CT, spine — sagittal view — W/L 1800/400 HU
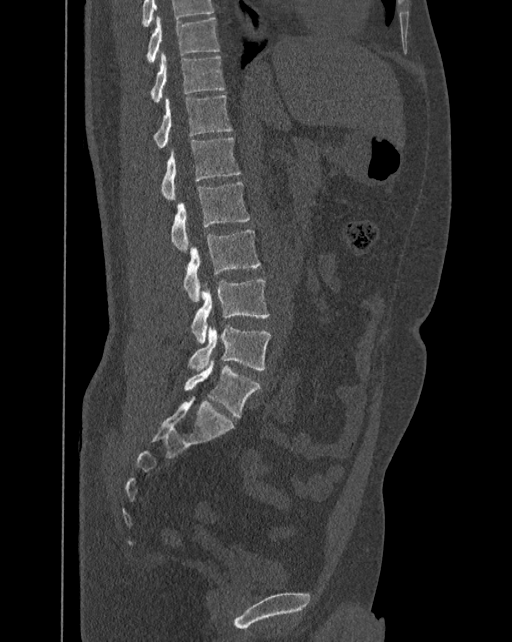 Columns x1, y1, x2, y2 give each box's top-left and bottom-right pixels.
The highest labeled vertebra in this scan is T10; the lowest is L6.
These labels give the spine a sixth lumbar vertebra, L6, below L5.
| vertebra | x1 | y1 | x2 | y2 |
|---|---|---|---|---|
| T10 | 145 | 16 | 220 | 64 |
| T11 | 150 | 52 | 225 | 102 |
| T12 | 153 | 94 | 231 | 147 |
| L1 | 160 | 138 | 240 | 199 |
| L2 | 171 | 182 | 250 | 251 |
| L3 | 184 | 229 | 260 | 300 |
| L4 | 191 | 279 | 269 | 343 |
| L5 | 188 | 324 | 271 | 370 |
| L6 | 184 | 361 | 260 | 417 |